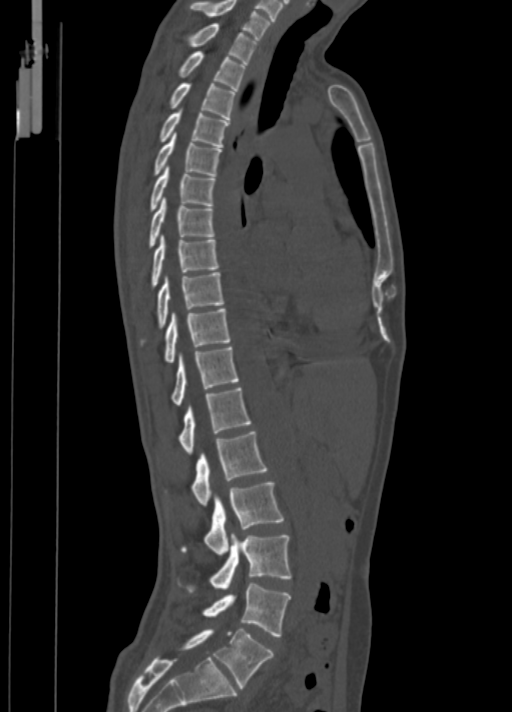
CT spine; sagittal view; W/L 1800/400 HU; 512x712 px. Boxes are (x1, y1, x2, y2) in pixels.
Vertebra bounding boxes:
- L5: (183, 629, 274, 688)
- L4: (203, 584, 290, 637)
- L3: (188, 534, 291, 591)
- L2: (181, 481, 284, 555)
- L1: (191, 432, 266, 505)
- T12: (178, 388, 250, 454)
- T11: (171, 347, 239, 406)
- T10: (165, 309, 230, 362)
- T9: (156, 272, 224, 327)
- T8: (152, 234, 218, 286)
- T7: (149, 197, 214, 246)
- T6: (150, 165, 215, 211)
- T5: (153, 133, 221, 175)
- T4: (159, 108, 228, 147)
- T3: (169, 82, 234, 119)
- T2: (178, 51, 245, 90)
- T1: (188, 23, 256, 63)
- C7: (190, 0, 269, 40)